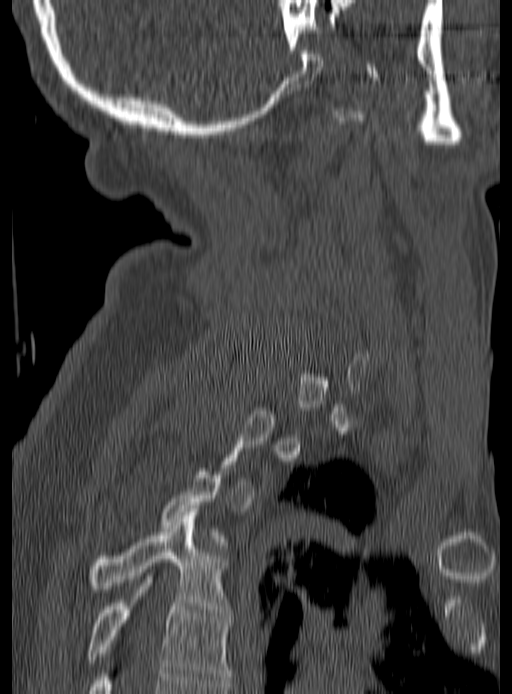
CT spine. sagittal view
Boxes: x1 y1 x2 y2 (pixel coords, space-separated).
Not every vertebra on this slice has a box: a vertebra is boxed only from the first to the last slice where its cross-section is at least a third of its largest, and this slice is outside that range for at least one of them.
T5: 87 579 229 683
T4: 87 512 229 612